CT spine — sagittal view — bone-window reconstruction — the image spans 317 mm across — 317x559 px
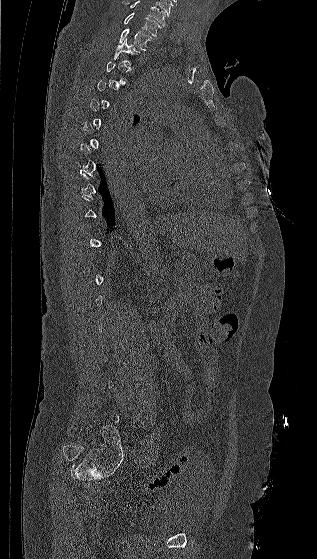
Boxes: x1:y1:x2:y2 in pixels.
A vertebra gets a box only on the slices from the first to the last where its cross-section is at least a third of its largest; on a slice outside that range it gets none.
This scan's labels start at C7 at the top and end at L5 at the bottom.
C7: 123:12:161:36
T1: 118:28:152:50
T2: 113:38:140:63